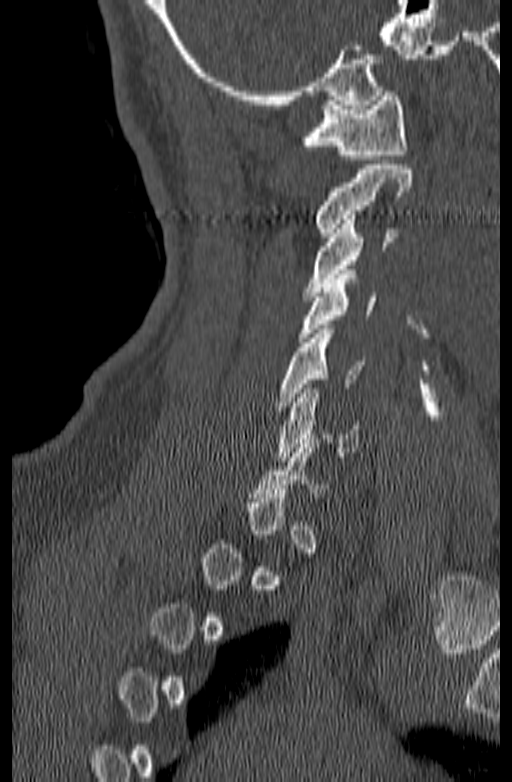 CT spine. 140 mm across the image. sagittal reformat
Bounding boxes as [x1, y1, x2, y2] in pixel coordinates. Not every vertebra on this slice has a box: a vertebra is boxed only from the first to the last slice where its cross-section is at least a third of its largest, and this slice is outside that range for at least one of them. 6 vertebrae labeled — C1 at [302, 91, 407, 159]; C2 at [315, 165, 412, 237]; C3 at [305, 215, 395, 296]; C4 at [298, 270, 375, 342]; C5 at [276, 325, 366, 406]; C6 at [276, 384, 360, 461].